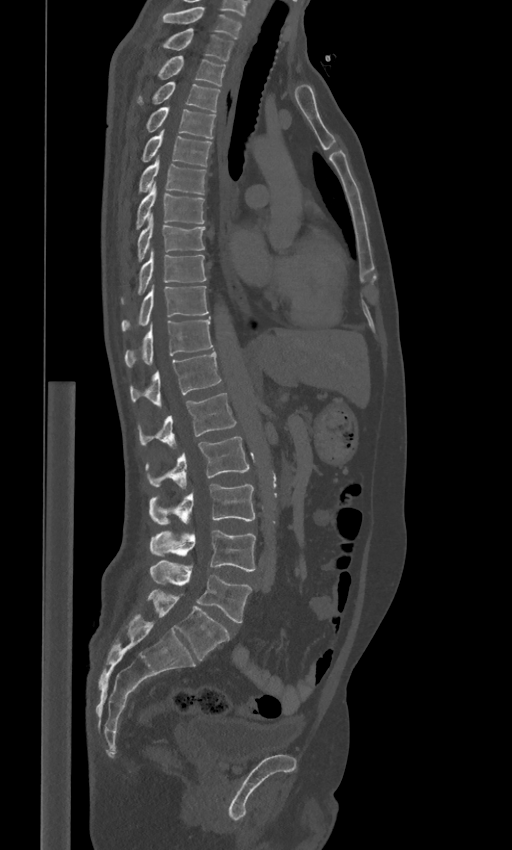 CT spine; sagittal view
Boxes: x1:y1:x2:y2 in pixels. In these labels the spine has an L6, a sixth lumbar vertebra below L5. Vertebrae labeled: L6 at 148:590:229:660, L5 at 150:561:251:622, L4 at 150:529:255:571, L3 at 149:484:254:524, L2 at 146:436:249:489, L1 at 139:393:236:449, T12 at 129:352:221:408, T11 at 125:317:213:367, T10 at 121:284:208:331, T9 at 137:248:206:294, T8 at 137:214:205:260, T7 at 136:184:203:228, T6 at 139:156:206:194, T5 at 142:129:212:165, T4 at 147:107:215:138, T3 at 139:81:220:111, T2 at 158:56:225:86, T1 at 164:28:234:60, C7 at 162:6:242:39.